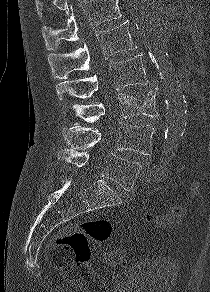

Computed tomography of the spine — sagittal view — bone window — image 210 mm wide
Each vertebra maps to its box as [x1, y1, x2, y2], the pixel coordinates of its top-left and bottom-right corners.
Where the top of the scan cuts through a vertebra, that vertebra gets no label or box.
{"vertebrae":{"L1":[47,20,137,79],"L2":[56,54,148,100],"L3":[72,88,158,122],"L4":[62,122,154,155],"L5":[57,148,141,190]}}